CT, spine. sagittal reformat. bone-window reconstruction
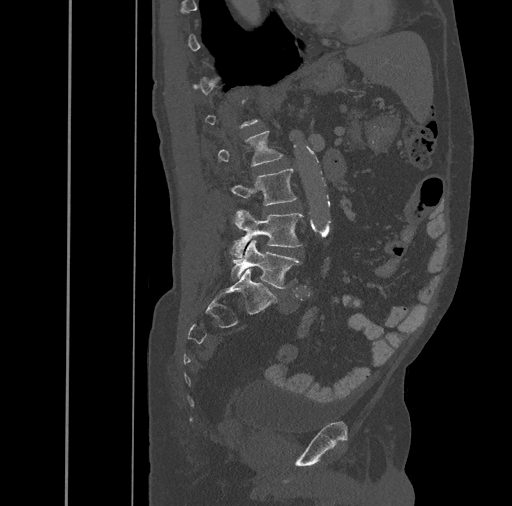 Boxes: x1 y1 x2 y2 (pixel coords, space-separated). Each vertebra is boxed only on the slices from the first to the last where its cross-section reaches a third of its largest, so a slice outside that range leaves it unboxed. The labeled vertebrae in this slice are: L5 at 231 239 301 288, L4 at 231 209 303 257, L3 at 229 168 297 205, L2 at 217 131 283 166.